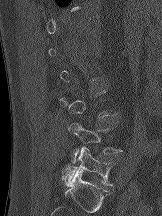
CT · sagittal view

Each vertebra maps to its box as [x1, y1, x2, y2], the pixel coordinates of its top-left and bottom-right corners.
A vertebra gets a box only on the slices from the first to the last where its cross-section is at least a third of its largest; on a slice outside that range it gets none.
{"vertebrae":{"L4":[68,123,122,163],"L5":[62,146,115,186]}}